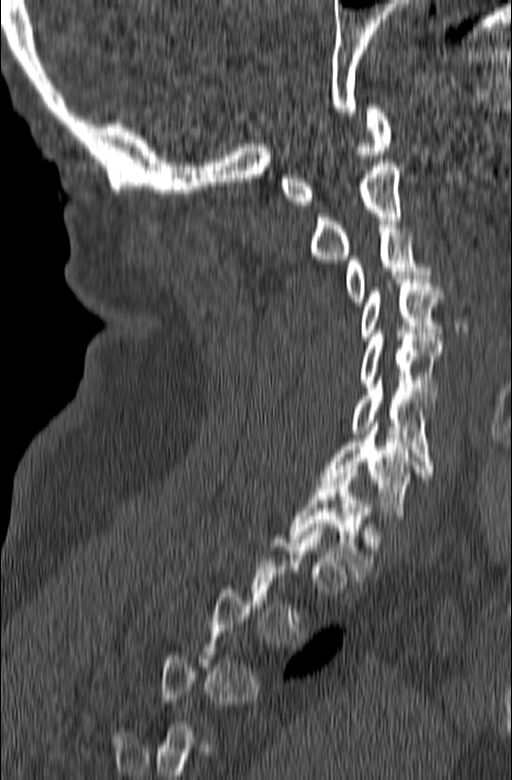

CT · sagittal view · the image spans 165 mm across
Coordinates as <box>x1,y1,x2,y2</box>.
A vertebra gets a box only on the slices from the first to the last where its cross-section is at least a third of its largest; on a slice outside that range it gets none.
Vertebra bounding boxes:
- C1: <box>280,105,391,205</box>
- C2: <box>308,159,403,259</box>
- C3: <box>345,225,431,305</box>
- C4: <box>358,275,444,340</box>
- C5: <box>358,330,441,402</box>
- C6: <box>352,376,434,468</box>
- C7: <box>320,419,432,523</box>
- T1: <box>290,469,373,581</box>